CT spine; Sagittal slice 283/512
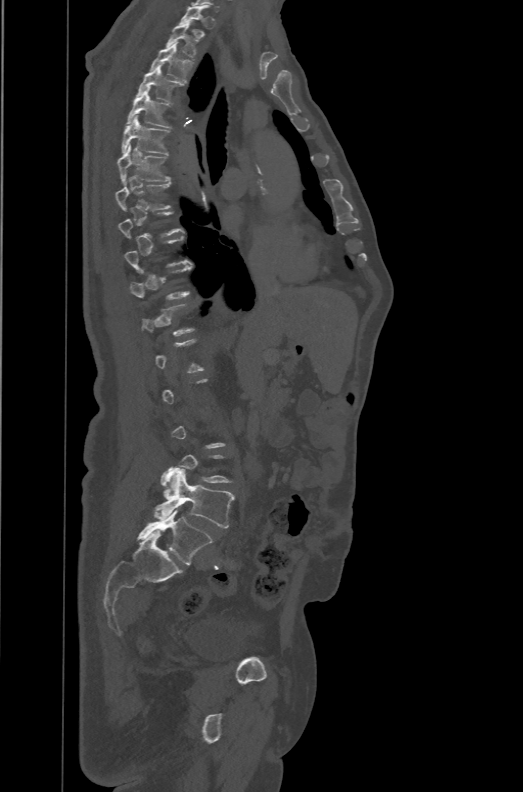

Each box given as x1,y1,x2,y2.
Not every vertebra on this slice has a box: a vertebra is boxed only from the first to the last slice where its cross-section is at least a third of its largest, and this slice is outside that range for at least one of them.
In these labels the spine has an L6, a sixth lumbar vertebra below L5.
T2: x1=166, y1=23, x2=199, y2=58
T3: x1=150, y1=42, x2=193, y2=82
T4: x1=136, y1=67, x2=184, y2=103
T5: x1=125, y1=90, x2=171, y2=128
T6: x1=121, y1=115, x2=170, y2=154
T7: x1=118, y1=144, x2=170, y2=183
T8: x1=116, y1=180, x2=170, y2=211
L5: x1=154, y1=466, x2=234, y2=528
L6: x1=136, y1=510, x2=213, y2=564